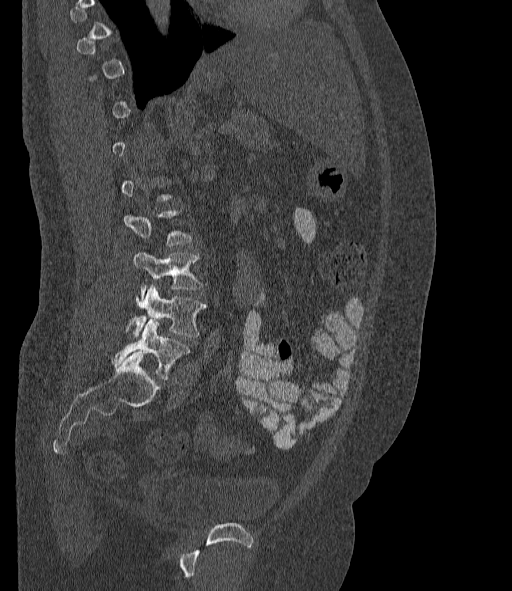
Spine CT. sagittal view

Not every vertebra on this slice has a box: a vertebra is boxed only from the first to the last slice where its cross-section is at least a third of its largest, and this slice is outside that range for at least one of them.
These labels give the spine a sixth lumbar vertebra, L6, below L5.
<vertebrae><v name="L6" x1="113" y1="319" x2="190" y2="379"/><v name="L5" x1="126" y1="285" x2="207" y2="337"/><v name="L4" x1="133" y1="251" x2="203" y2="296"/><v name="L3" x1="123" y1="211" x2="192" y2="246"/></vertebrae>